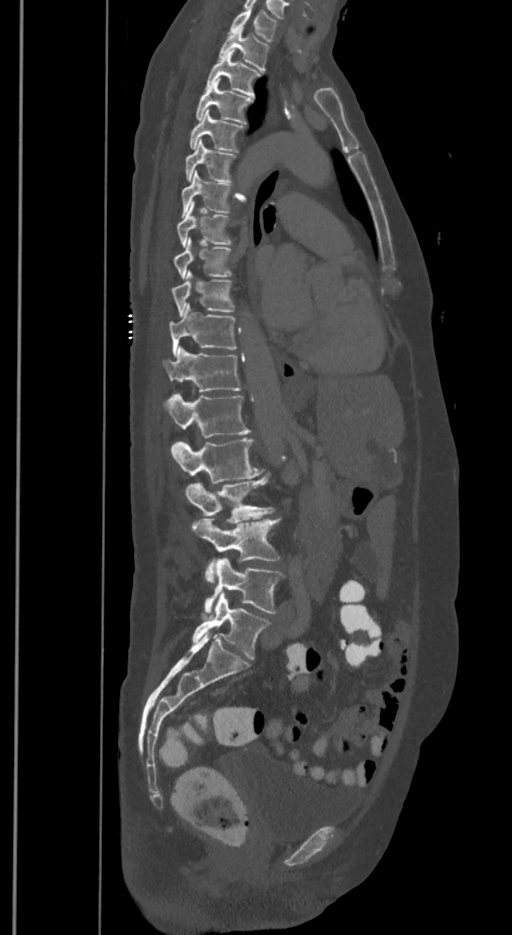 Spine CT; sagittal view; 512x935 px; image 350 mm wide
Each box given as x1,y1,x2,y2.
In these labels the spine has an L6, a sixth lumbar vertebra below L5.
T1: x1=229, y1=9, x2=278, y2=41
T2: x1=218, y1=28, x2=269, y2=71
T3: x1=206, y1=50, x2=261, y2=95
T4: x1=196, y1=79, x2=253, y2=124
T5: x1=188, y1=109, x2=245, y2=152
T6: x1=186, y1=140, x2=237, y2=182
T7: x1=181, y1=170, x2=231, y2=216
T8: x1=177, y1=201, x2=231, y2=247
T9: x1=174, y1=237, x2=233, y2=278
T10: x1=172, y1=271, x2=234, y2=316
T11: x1=169, y1=303, x2=237, y2=356
T12: x1=164, y1=346, x2=242, y2=391
L1: x1=167, y1=394, x2=250, y2=437
L2: x1=172, y1=438, x2=264, y2=483
L3: x1=186, y1=474, x2=274, y2=523
L4: x1=191, y1=517, x2=281, y2=584
L5: x1=205, y1=557, x2=283, y2=615
L6: x1=193, y1=594, x2=269, y2=659